Computed tomography of the spine · Sagittal slice 335/512 · image width 160 mm · 512x760 px · 10 vertebrae labeled in this scan
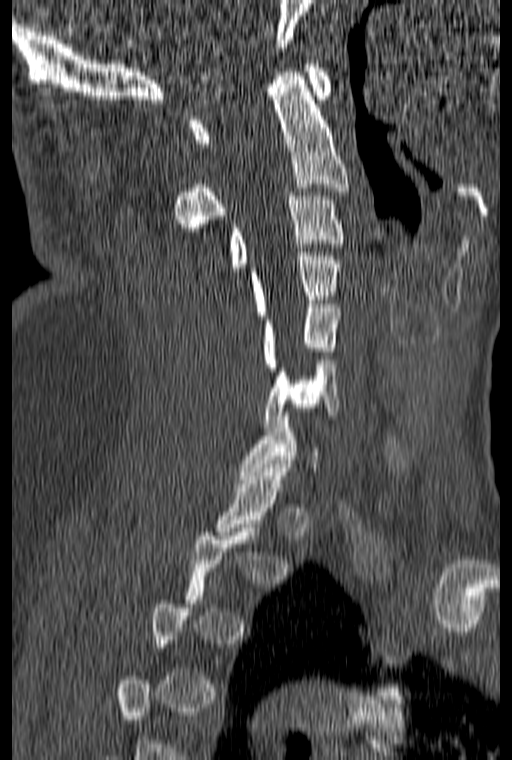 Boxes below are [x1, y1, x2, y2] in pixels.
Each vertebra is boxed only on the slices from the first to the last where its cross-section reaches a third of its largest, so a slice outside that range leaves it unboxed.
{"vertebrae":{"C1":[189,60,331,147],"C2":[173,72,349,231],"C3":[228,192,345,271],"C4":[251,252,339,319],"C5":[264,300,339,371],"C6":[264,356,339,427]}}